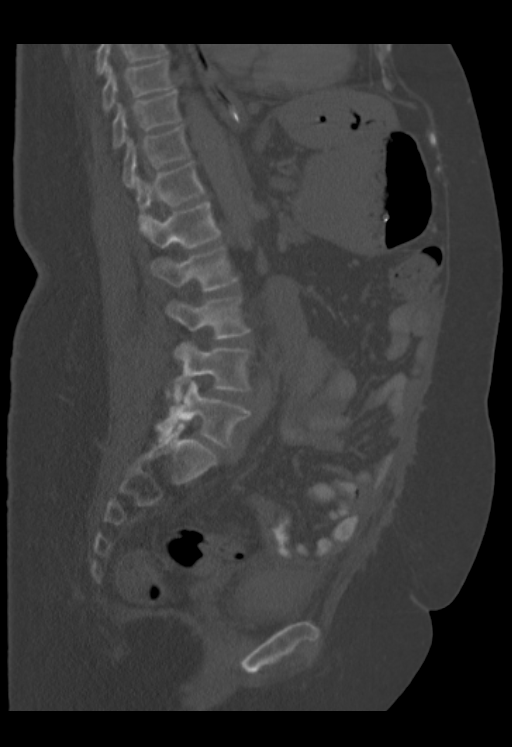 CT. sagittal view. bone-window reconstruction. 512x747 px
Each row gives a vertebra's box as x1, y1, x2, y2 in pixels: top-left corner, then bottom-right corner.
Labels in this scan begin with T9 at the top and end with L5 at the bottom.
| vertebra | x1 | y1 | x2 | y2 |
|---|---|---|---|---|
| L5 | 155 | 380 | 251 | 447 |
| L4 | 173 | 343 | 250 | 403 |
| L3 | 167 | 295 | 250 | 339 |
| L2 | 151 | 245 | 238 | 291 |
| L1 | 139 | 200 | 221 | 247 |
| T12 | 135 | 161 | 204 | 225 |
| T11 | 122 | 125 | 189 | 188 |
| T10 | 112 | 89 | 181 | 147 |
| T9 | 102 | 59 | 173 | 112 |